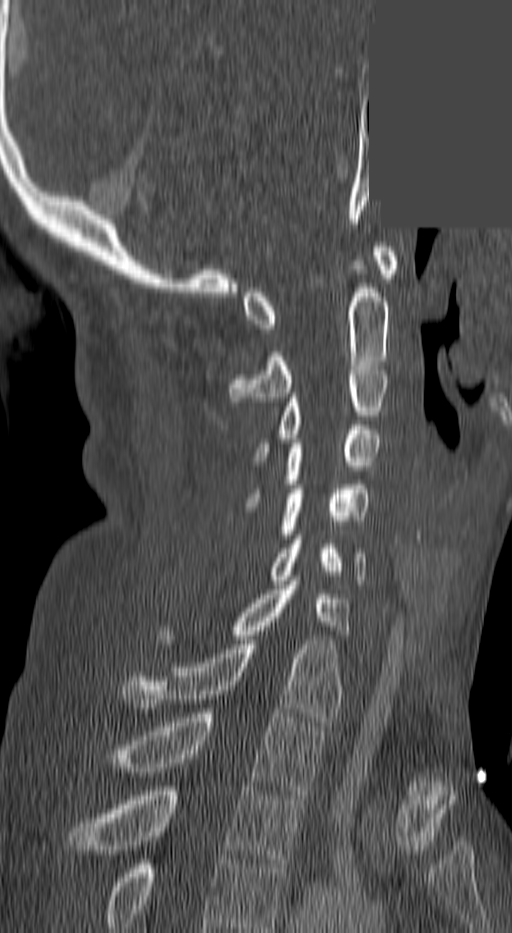 CT · sagittal reformat · bone-window reconstruction · 512x933 px · some of the image was removed or blocked out with constant pixels
In this scan, the topmost labeled vertebra is C1 and the lowest is T3.
<vertebrae><v name="C1" x1="243" y1="247" x2="395" y2="333"/><v name="C2" x1="232" y1="288" x2="388" y2="401"/><v name="C3" x1="256" y1="366" x2="388" y2="465"/><v name="C4" x1="251" y1="430" x2="377" y2="502"/><v name="C5" x1="280" y1="485" x2="370" y2="538"/><v name="C6" x1="272" y1="535" x2="367" y2="584"/><v name="C7" x1="235" y1="576" x2="349" y2="639"/><v name="T1" x1="122" y1="640" x2="340" y2="721"/><v name="T2" x1="107" y1="709" x2="322" y2="794"/><v name="T3" x1="67" y1="786" x2="304" y2="868"/></vertebrae>